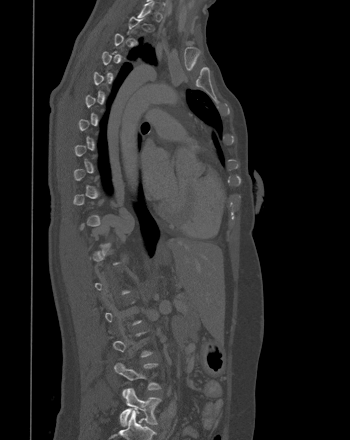
CT. sagittal view
Each box is [x1, y1, x2, y2] in pixels: top-left corner, then bottom-right corner.
Not every vertebra on this slice has a box: a vertebra is boxed only from the first to the last slice where its cross-section is at least a third of its largest, and this slice is outside that range for at least one of them.
{"vertebrae":{"L4":[114,362,160,396],"L5":[119,388,161,426]}}